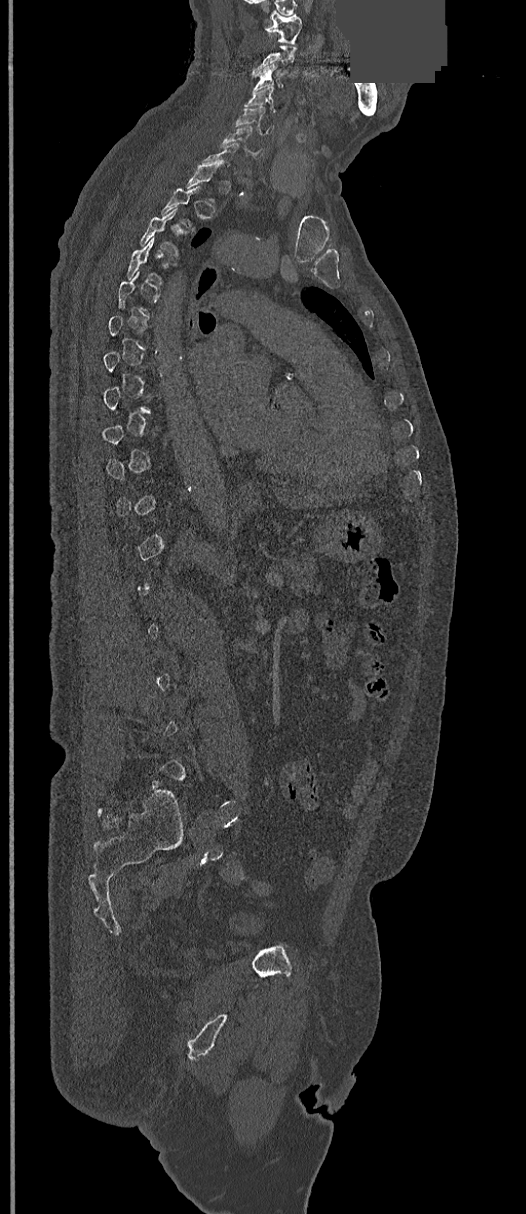

Computed tomography of the spine · sagittal view · W/L 1800/400 HU · 368 mm image width · part of the image has been replaced by a constant value
Boxes: x1:y1:x2:y2 in pixels. A vertebra is boxed only from the first to the last slice where its cross-section is at least a third of its largest; slices outside that range leave it without a box. 5 vertebrae labeled — C1 at 267:11:302:44; C3 at 254:63:284:88; C4 at 245:87:274:112; C5 at 235:106:276:133; C6 at 221:126:264:159.